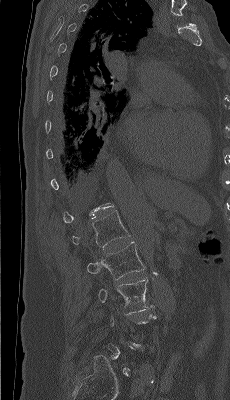
Spine computed tomography · sagittal view · bone window. Boxes are (x1, y1, x2, y2) in pixels.
A vertebra is boxed only from the first to the last slice where its cross-section is at least a third of its largest; slices outside that range leave it without a box.
L1: (72, 210, 129, 249)
L2: (87, 241, 145, 280)
L3: (98, 278, 154, 312)